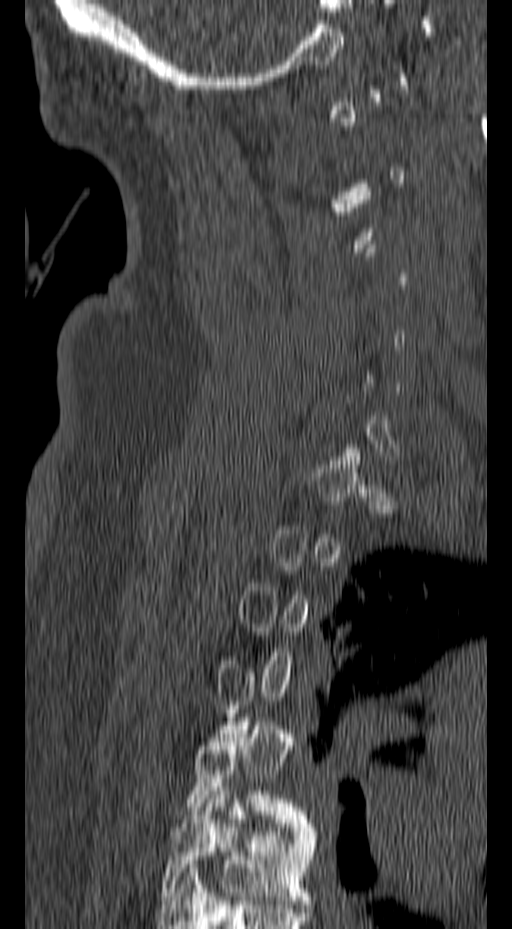
CT. the image spans 157 mm across. sagittal view. bone window
Boxes: x1 y1 x2 y2 (pixel coords, space-separated).
Not every vertebra on this slice has a box: a vertebra is boxed only from the first to the last slice where its cross-section is at least a third of its largest, and this slice is outside that range for at least one of them.
T6: 160 787 316 904
T5: 187 717 310 827